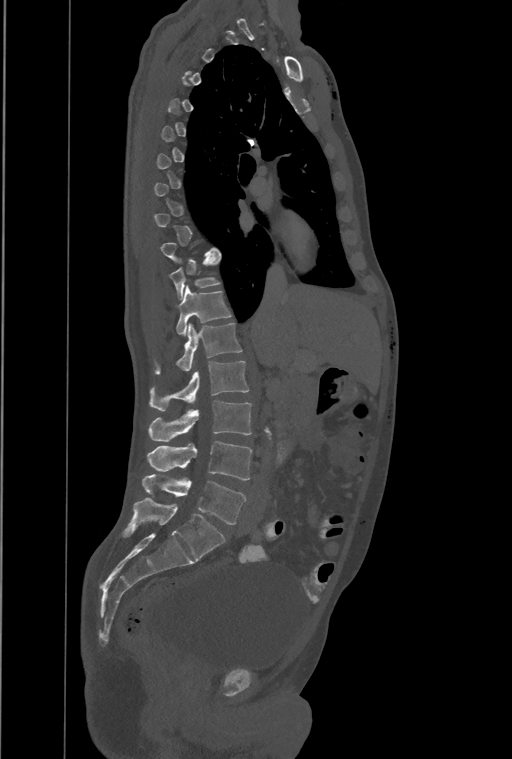 Computed tomography of the spine — sagittal view
Box edges are left/top/right/bottom in pixels.
Not every vertebra on this slice has a box: a vertebra is boxed only from the first to the last slice where its cross-section is at least a third of its largest, and this slice is outside that range for at least one of them.
In this scan, the topmost labeled vertebra is T1 and the lowest is L4.
The labels name an extra thoracic vertebra here, T13, which comes after T12 and before L1.
T11: left=170, top=259, right=219, bottom=298
T12: left=176, top=286, right=231, bottom=335
T13: left=155, top=322, right=242, bottom=374
L1: left=150, top=361, right=248, bottom=410
L2: left=148, top=400, right=252, bottom=441
L3: left=147, top=441, right=252, bottom=480
L4: left=142, top=474, right=245, bottom=524